CT, spine — sagittal plane, index 207 — bone-window reconstruction — 512x943 px
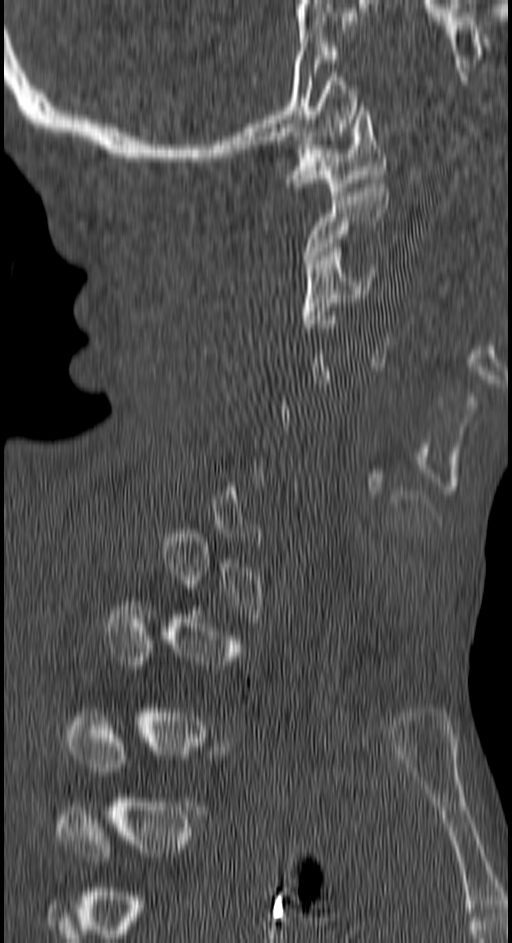

Box values are [left, top, right, bottom] in pixels.
A vertebra gets a box only on the slices from the first to the last where its cross-section is at least a third of its largest; on a slice outside that range it gets none.
{"vertebrae":{"C1":[288,102,386,195],"C2":[304,183,389,268],"C3":[302,247,376,328]}}